Spine computed tomography — sagittal view
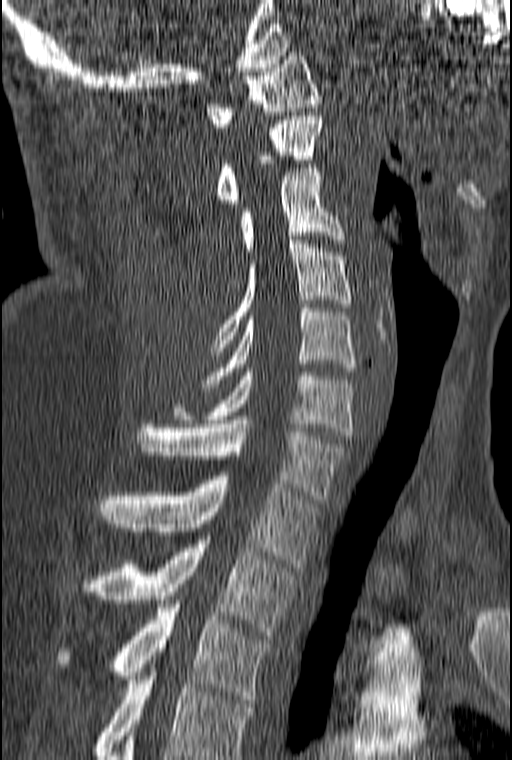 Box edges are left/top/right/bottom in pixels. Labels in this scan begin with C1 at the top and end with T3 at the bottom. Vertebrae labeled: C1 at left=206, top=52, right=322, bottom=127, C2 at left=217, top=116, right=322, bottom=207, C3 at left=239, top=168, right=345, bottom=255, C4 at left=210, top=240, right=352, bottom=355, C5 at left=202, top=308, right=356, bottom=387, C6 at left=172, top=368, right=353, bottom=435, C7 at left=136, top=420, right=346, bottom=503, T1 at left=97, top=476, right=317, bottom=567, T2 at left=88, top=536, right=295, bottom=635, T3 at left=55, top=604, right=272, bottom=703.